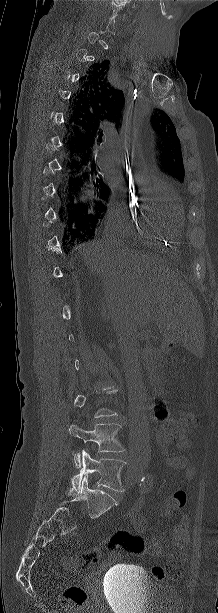

Spine CT; sagittal view; 218x613 px; image width 218 mm

Boxes: x1:y1:x2:y2 in pixels. Not every vertebra on this slice has a box: a vertebra is boxed only from the first to the last slice where its cross-section is at least a third of its largest, and this slice is outside that range for at least one of them. The labeled vertebrae in this slice are: L4 at 69:423:124:468, L5 at 68:450:125:494.